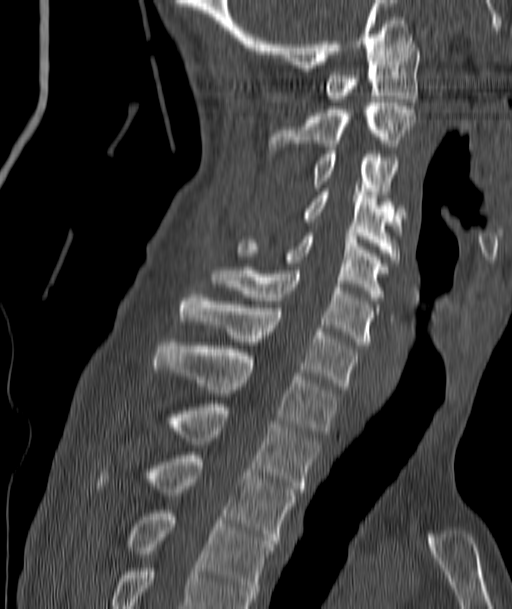 CT, spine · sagittal view · bone window · 187 mm image width
Each row gives a vertebra's box as x1, y1, x2, y2 in pixels: top-left corner, then bottom-right corner.
| vertebra | x1 | y1 | x2 | y2 |
|---|---|---|---|---|
| C1 | 327 | 41 | 419 | 102 |
| C2 | 269 | 99 | 416 | 150 |
| C3 | 313 | 151 | 400 | 194 |
| C4 | 302 | 188 | 402 | 259 |
| C5 | 239 | 233 | 386 | 300 |
| C6 | 212 | 270 | 372 | 345 |
| C7 | 179 | 294 | 356 | 389 |
| T1 | 154 | 342 | 337 | 434 |
| T2 | 171 | 404 | 317 | 492 |
| T3 | 149 | 455 | 296 | 543 |
| T4 | 127 | 510 | 274 | 601 |